CT, spine; sagittal view; 461 mm image width
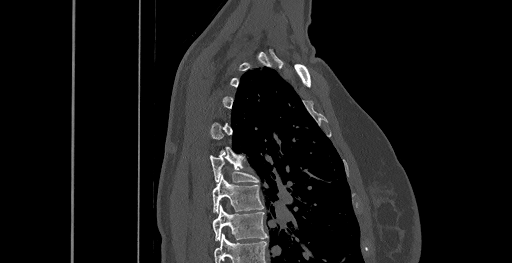 Each row gives a vertebra's box as x1, y1, x2, y2 in pixels: top-left corner, then bottom-right corner.
Each vertebra is boxed only on the slices from the first to the last where its cross-section reaches a third of its largest, so a slice outside that range leaves it unboxed.
This scan's labels start at C6 at the top and end at T8 at the bottom.
| vertebra | x1 | y1 | x2 | y2 |
|---|---|---|---|---|
| T8 | 213 | 205 | 268 | 240 |
| T7 | 212 | 175 | 263 | 212 |
| T6 | 210 | 155 | 259 | 182 |